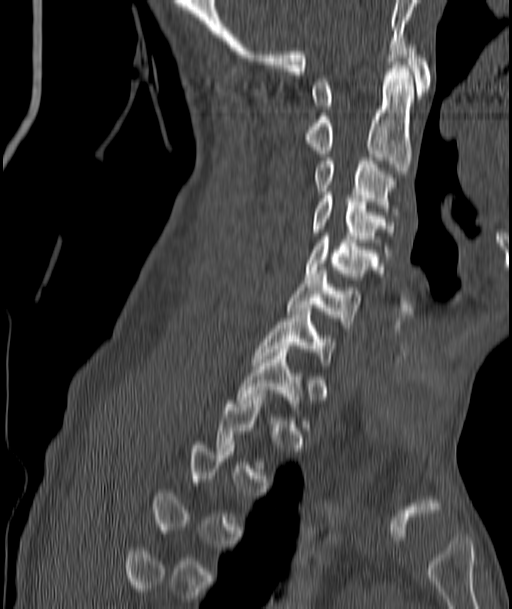
CT · sagittal reformat · W/L 1800/400 HU. Boxes: x1:y1:x2:y2 in pixels. Each vertebra is boxed only on the slices from the first to the last where its cross-section reaches a third of its largest, so a slice outside that range leaves it unboxed. The labeled vertebrae in this slice are: C7 at 253:308:334:365, C6 at 286:270:361:328, C5 at 305:233:378:280, C4 at 313:192:394:252, C3 at 316:161:394:215, C2 at 305:65:413:174, C1 at 313:44:430:109.